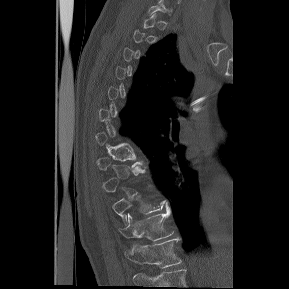 CT, spine — sagittal view — Bone window (WL 400, WW 1800)
Each vertebra is boxed only on the slices from the first to the last where its cross-section reaches a third of its largest, so a slice outside that range leaves it unboxed.
This scan's labels start at T1 at the top and end at T12 at the bottom.
<vertebrae><v name="T10" x1="112" y1="189" x2="165" y2="222"/><v name="T11" x1="119" y1="203" x2="173" y2="240"/><v name="T12" x1="124" y1="237" x2="182" y2="269"/></vertebrae>